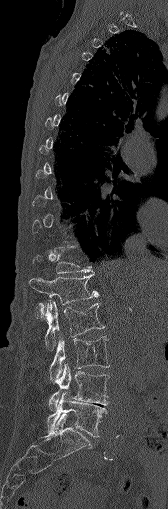

Spine CT. sagittal view. the image spans 168 mm across. bone-window reconstruction
A vertebra gets a box only on the slices from the first to the last where its cross-section is at least a third of its largest; on a slice outside that range it gets none.
<vertebrae><v name="L5" x1="46" y1="391" x2="107" y2="436"/><v name="L4" x1="48" y1="363" x2="109" y2="408"/><v name="L3" x1="50" y1="336" x2="109" y2="381"/><v name="L2" x1="43" y1="301" x2="104" y2="349"/><v name="L1" x1="29" y1="274" x2="98" y2="317"/></vertebrae>